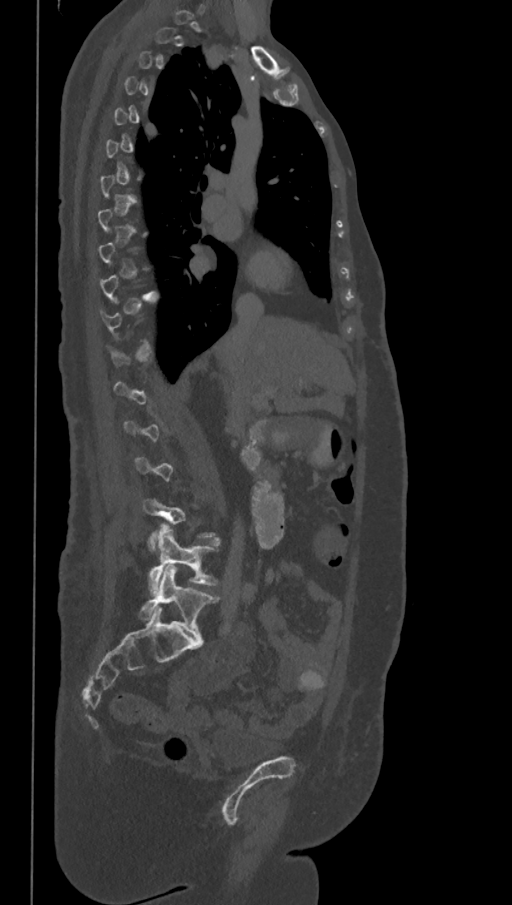
CT; 368 mm image width; sagittal view; 512x905 px
Each vertebra is boxed only on the slices from the first to the last where its cross-section reaches a third of its largest, so a slice outside that range leaves it unboxed.
These labels give the spine a sixth lumbar vertebra, L6, below L5.
<vertebrae><v name="L6" x1="139" y1="566" x2="219" y2="638"/><v name="L5" x1="149" y1="528" x2="217" y2="589"/></vertebrae>